CT, spine · sagittal reformat · the image is 150 mm wide · W/L 1800/400 HU
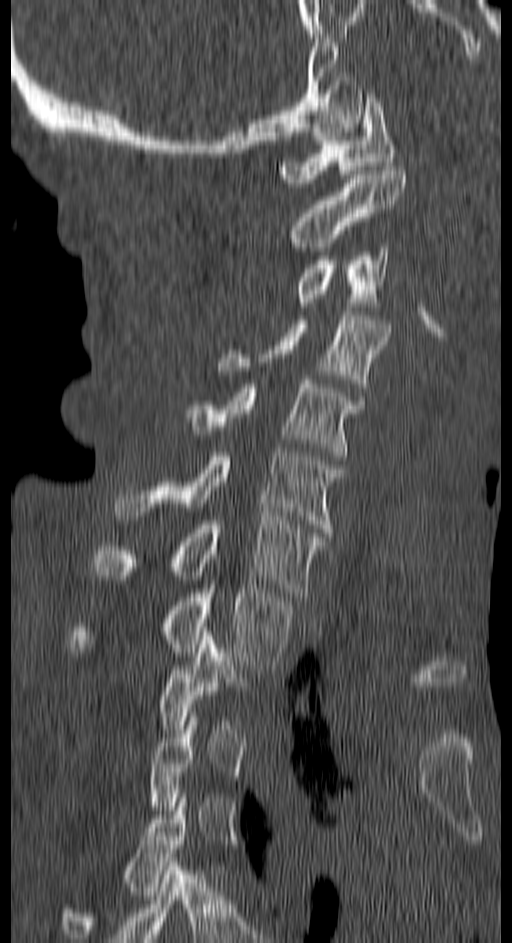
Each box is [x1, y1, x2, y2] in pixels: top-left corner, then bottom-right corner.
Each vertebra is boxed only on the slices from the first to the last where its cross-section reaches a third of its largest, so a slice outside that range leaves it unboxed.
{"vertebrae":{"C1":[278,94,396,187],"C2":[288,166,406,251],"C3":[295,243,389,306],"C4":[218,311,390,392],"C5":[184,380,364,460],"C6":[114,452,342,532],"C7":[90,516,324,596],"T1":[69,585,290,669],"T2":[158,636,243,729],"T4":[61,794,188,942]}}